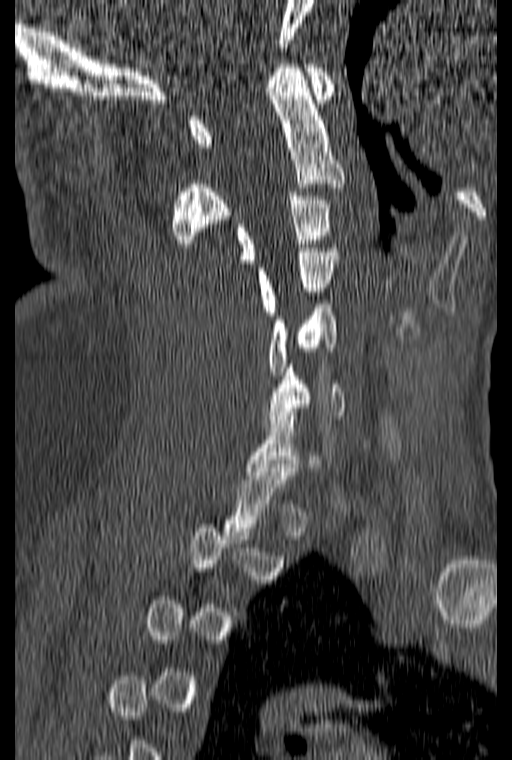

Spine CT. sagittal reformat

Each box given as x1,y1,x2,y2.
Each vertebra is boxed only on the slices from the first to the last where its cross-section reaches a third of its largest, so a slice outside that range leaves it unboxed.
| vertebra | x1 | y1 | x2 | y2 |
|---|---|---|---|---|
| C1 | 189 | 64 | 334 | 147 |
| C2 | 172 | 64 | 344 | 247 |
| C3 | 237 | 192 | 331 | 263 |
| C4 | 257 | 244 | 337 | 315 |
| C5 | 267 | 300 | 336 | 379 |
| C6 | 264 | 364 | 345 | 427 |